Computed tomography of the spine — sagittal reformat
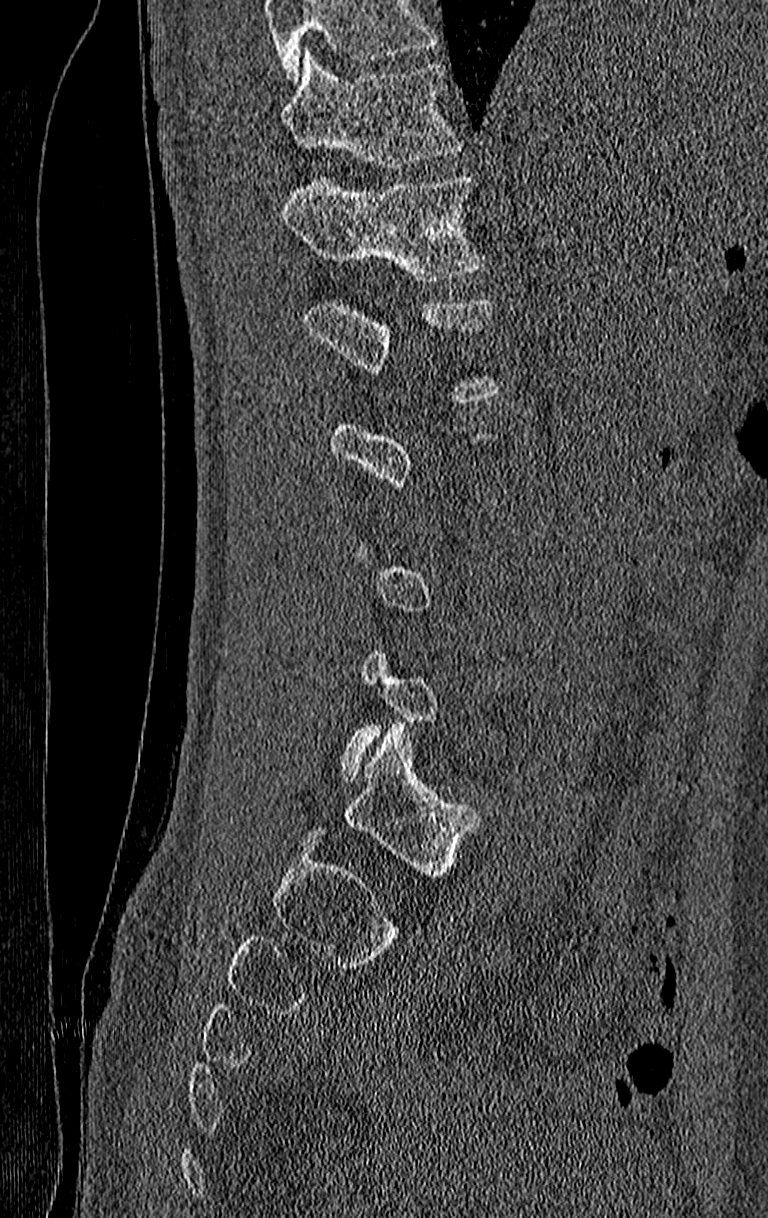 Columns x1, y1, x2, y2 give each box's top-left and bottom-right pixels.
Each vertebra is boxed only on the slices from the first to the last where its cross-section reaches a third of its largest, so a slice outside that range leaves it unboxed.
Vertebrae that run past the top of the scan are left unlabeled.
| vertebra | x1 | y1 | x2 | y2 |
|---|---|---|---|---|
| T11 | 280 | 53 | 458 | 169 |
| T12 | 280 | 176 | 480 | 282 |